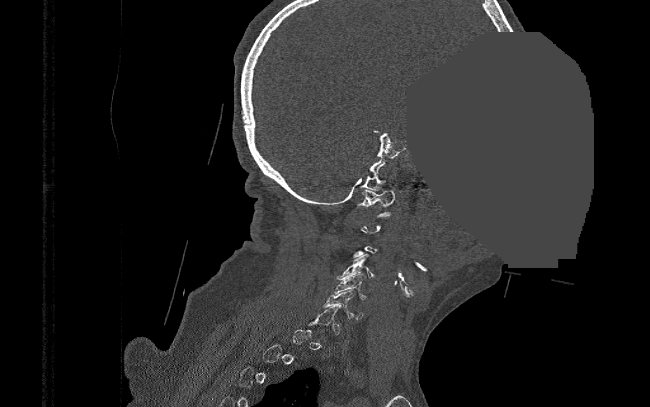

CT, spine; sagittal view; a region is masked with a constant gray value
Coordinates as <box>x1,y1,x2,y2</box>.
Each vertebra is boxed only on the slices from the first to the last where its cross-section reaches a third of its largest, so a slice outside that range leaves it unboxed.
Vertebra bounding boxes:
- C1: <box>358,190,394,216</box>
- C4: <box>336,254,375,279</box>
- C5: <box>330,274,367,299</box>
- C6: <box>322,289,363,319</box>